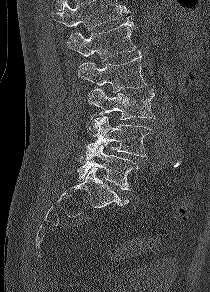

CT spine · sagittal reformat · 210 mm wide
Boxes: x1:y1:x2:y2 in pixels.
Where the top of the scan cuts through a vertebra, that vertebra gets no label or box.
L1: 66:16:135:60
L2: 78:53:146:92
L3: 88:88:155:119
L4: 84:115:154:158
L5: 77:144:138:190